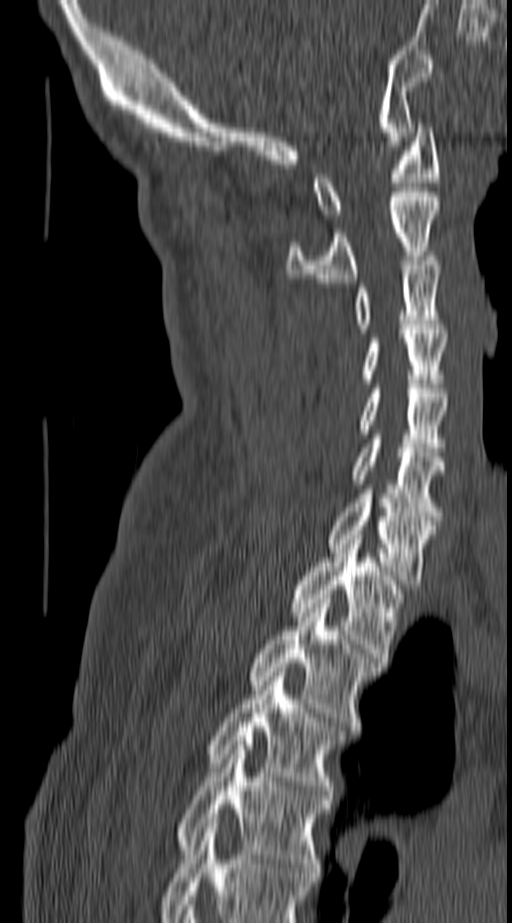 Computed tomography of the spine; sagittal view; 140 mm wide; Bone window (WL 400, WW 1800)
Coordinates as <box>x1,y1,x2,y2</box>. Labels in this scan begin with C1 at the top and end with T4 at the bottom. The labeled vertebrae in this slice are: T4 at <box>177,741,329,872</box>, T3 at <box>210,672,340,794</box>, T2 at <box>250,599,377,730</box>, T1 at <box>292,535,399,657</box>, C7 at <box>327,494,436,584</box>, C6 at <box>352,434,444,516</box>, C5 at <box>360,389,447,452</box>, C4 at <box>363,329,447,383</box>, C3 at <box>356,256,441,333</box>, C2 at <box>287,192,439,282</box>, C1 at <box>312,123,439,218</box>.